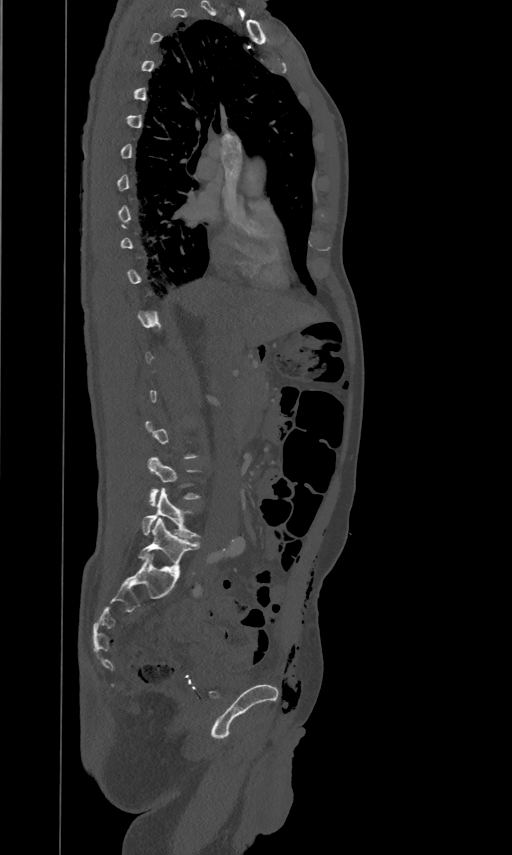

CT spine — sagittal view

Each row gives a vertebra's box as x1, y1, x2, y2 in pixels: top-left corner, then bottom-right corner.
Not every vertebra on this slice has a box: a vertebra is boxed only from the first to the last slice where its cross-section is at least a third of its largest, and this slice is outside that range for at least one of them.
| vertebra | x1 | y1 | x2 | y2 |
|---|---|---|---|---|
| L4 | 148 | 457 | 199 | 505 |
| L5 | 142 | 488 | 199 | 538 |